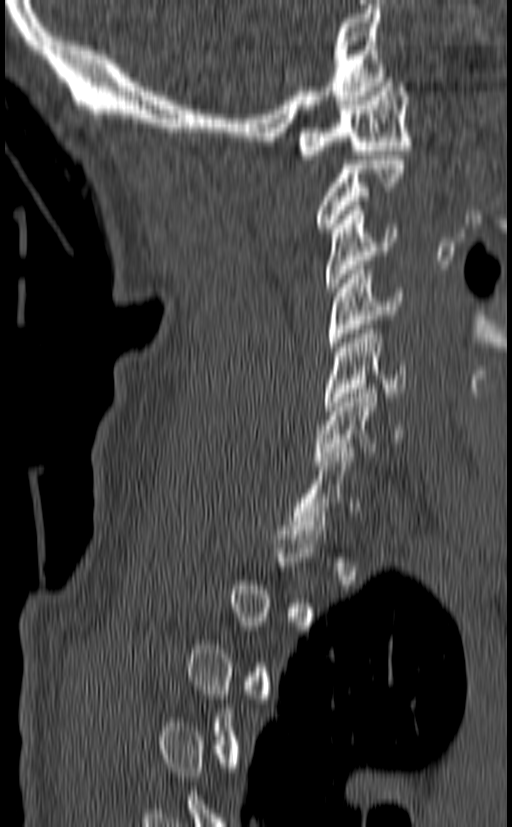 CT spine — sagittal reformat — the image spans 140 mm across — bone window
Boxes are given in columns x1, y1, x2, y2, the pixel coordinates of their top-left and bottom-right corners.
A vertebra gets a box only on the slices from the first to the last where its cross-section is at least a third of its largest; on a slice outside that range it gets none.
| vertebra | x1 | y1 | x2 | y2 |
|---|---|---|---|---|
| C1 | 297 | 78 | 411 | 159 |
| C3 | 325 | 206 | 398 | 292 |
| C4 | 327 | 265 | 403 | 351 |
| C5 | 322 | 325 | 406 | 410 |
| C6 | 313 | 384 | 401 | 465 |
| C7 | 289 | 448 | 360 | 534 |